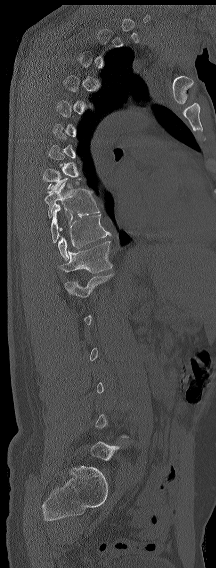 Spine CT. sagittal view. image 216 mm wide. bone-window reconstruction. 216x568 px

Not every vertebra on this slice has a box: a vertebra is boxed only from the first to the last slice where its cross-section is at least a third of its largest, and this slice is outside that range for at least one of them.
<vertebrae><v name="T9" x1="44" y1="178" x2="99" y2="217"/><v name="T11" x1="58" y1="214" x2="111" y2="259"/><v name="T12" x1="60" y1="241" x2="112" y2="273"/><v name="L1" x1="64" y1="274" x2="113" y2="297"/></vertebrae>